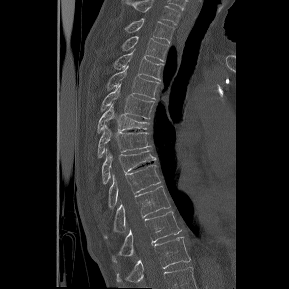

CT, spine — 289 mm wide — sagittal reformat

Bounding boxes as [x1, y1, x2, y2] in pixel coordinates. In this scan, the topmost labeled vertebra is T1 and the lowest is T12. 12 vertebrae labeled — T1 at [125, 18, 174, 43]; T2 at [121, 36, 169, 61]; T3 at [113, 52, 163, 80]; T4 at [106, 66, 160, 99]; T5 at [102, 85, 154, 119]; T6 at [96, 104, 149, 132]; T7 at [98, 126, 150, 157]; T8 at [101, 149, 157, 183]; T9 at [108, 163, 161, 208]; T10 at [104, 185, 170, 239]; T11 at [112, 211, 181, 261]; T12 at [117, 237, 190, 282].